CT, spine. sagittal view
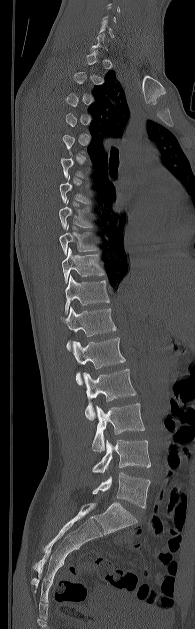
Boxes are (x1, y1, x2, y2) in pixels.
A vertebra gets a box only on the slices from the first to the last where its cross-section is at least a third of its largest; on a slice outside that range it gets none.
C6: (99, 20, 114, 37)
T7: (59, 175, 90, 203)
T8: (59, 199, 93, 228)
T9: (59, 224, 98, 254)
T10: (62, 247, 103, 283)
T11: (65, 275, 109, 314)
T12: (60, 305, 116, 351)
L1: (72, 337, 125, 384)
L2: (83, 369, 136, 419)
L3: (92, 403, 144, 451)
L4: (92, 439, 150, 473)
L5: (92, 472, 150, 508)